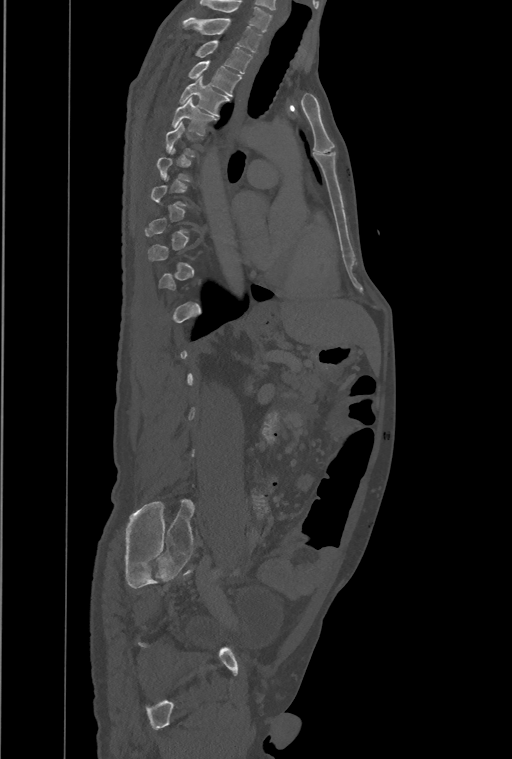

CT, spine · sagittal view
Each box given as x1,y1,x2,y2. A vertebra gets a box only on the slices from the first to the last where its cross-section is at least a third of its largest; on a slice outside that range it gets none. The highest labeled vertebra in this scan is T1; the lowest is L4. 5 vertebrae labeled — T5 at x1=172, y1=98, x2=217, y2=135; T4 at x1=179, y1=76, x2=229, y2=115; T3 at x1=188, y1=61, x2=242, y2=96; T2 at x1=195, y1=40, x2=252, y2=74; T1 at x1=183, y1=17, x2=262, y2=53.